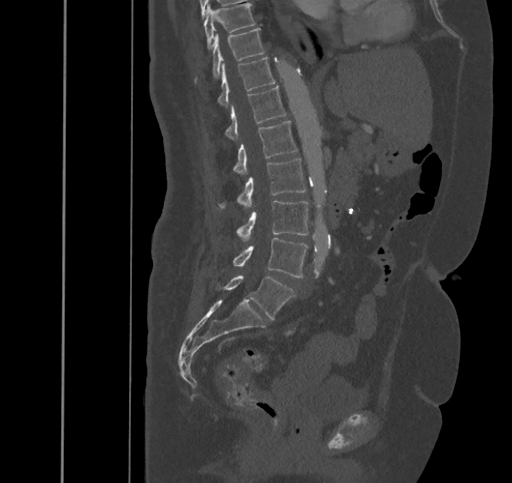

CT — sagittal view — 512x483 px
Boxes are given in columns x1, y1, x2, y2, the pixel coordinates of their top-left and bottom-right corners.
| vertebra | x1 | y1 | x2 | y2 |
|---|---|---|---|---|
| L5 | 216 | 275 | 295 | 319 |
| L4 | 232 | 237 | 307 | 277 |
| L3 | 236 | 201 | 308 | 240 |
| L2 | 219 | 158 | 306 | 209 |
| L1 | 232 | 121 | 297 | 173 |
| T12 | 224 | 86 | 287 | 140 |
| T11 | 217 | 57 | 275 | 107 |
| T10 | 212 | 28 | 264 | 78 |
| T9 | 204 | 3 | 254 | 49 |